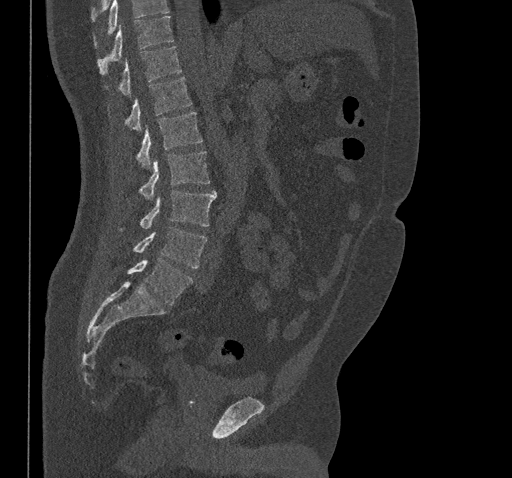

CT spine — sagittal view — 512x478 px
Boxes below are [x1, y1, x2, y2] in pixels.
Where the top of the scan cuts through a vertebra, that vertebra gets no label or box.
{"vertebrae":{"L5":[128,258,192,305],"L4":[133,227,207,268],"L3":[121,190,216,229],"L2":[139,151,209,199],"L1":[136,111,202,168],"T12":[124,77,192,130],"T11":[119,46,182,95],"T10":[97,16,173,75]}}